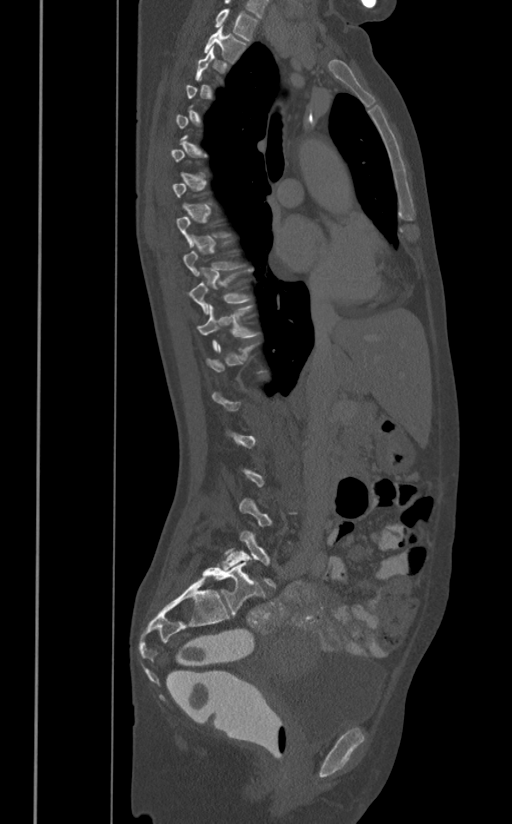

Computed tomography of the spine · the image is 391 mm wide · sagittal reformat · bone window
Boxes are (x1, y1, x2, y2) in pixels.
A vertebra gets a box only on the slices from the first to the last where its cross-section is at least a third of its largest; on a slice outside that range it gets none.
L5: (222, 530, 276, 587)
T11: (196, 304, 261, 350)
T10: (190, 268, 253, 314)
T2: (204, 26, 248, 64)
T1: (215, 8, 258, 41)